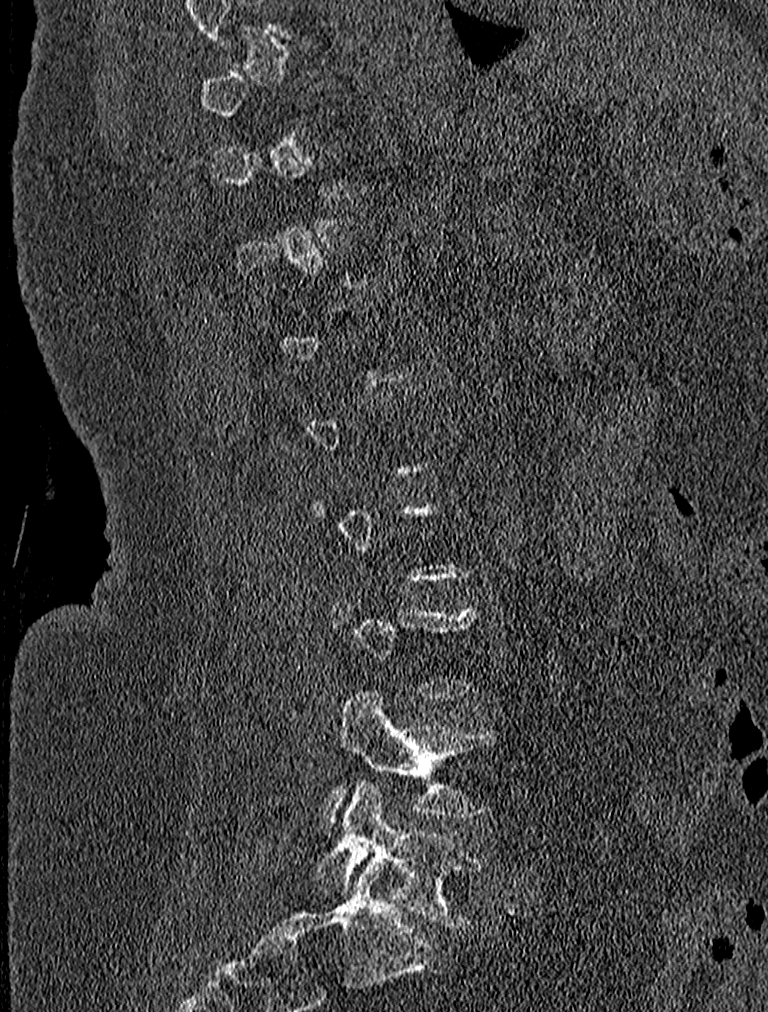
CT spine. sagittal view

Boxes below are [x1, y1, x2, y2] in pixels.
A vertebra is boxed only from the first to the last slice where its cross-section is at least a third of its largest; slices outside that range leave it without a box.
{"vertebrae":{"L4":[324,688,503,826],"L5":[313,779,485,928]}}